Computed tomography of the spine — sagittal plane, index 257 — W/L 1800/400 HU — 512x689 px — 11 vertebrae labeled in this scan — 408 mm image width
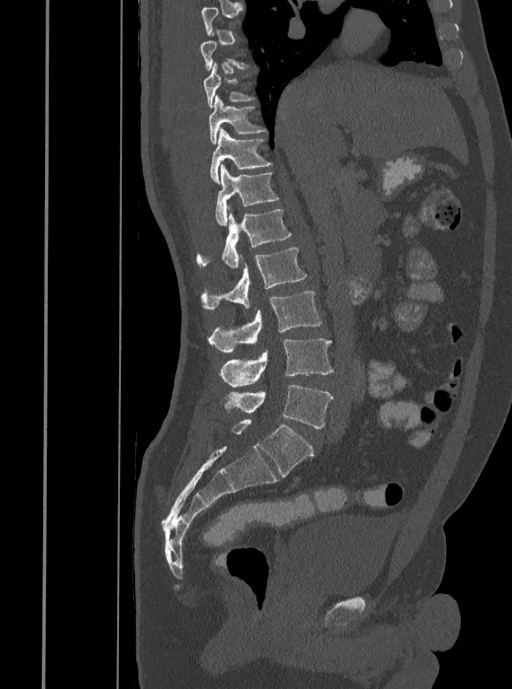

Coordinates as <box>x1,y1,x2,y2</box>.
Not every vertebra on this slice has a box: a vertebra is boxed only from the first to the last slice where its cross-section is at least a third of its largest, and this slice is outside that range for at least one of them.
L5: <box>221,384,333,428</box>
L4: <box>219,339,333,386</box>
L3: <box>208,291,321,351</box>
L2: <box>200,247,306,310</box>
L1: <box>197,207,291,267</box>
T12: <box>215,165,279,226</box>
T11: <box>209,128,271,183</box>
T10: <box>208,95,266,144</box>
T9: <box>203,62,254,107</box>